Computed tomography of the spine — sagittal reformat — Bone window (WL 400, WW 1800) — 230x400 px — the image is 230 mm wide
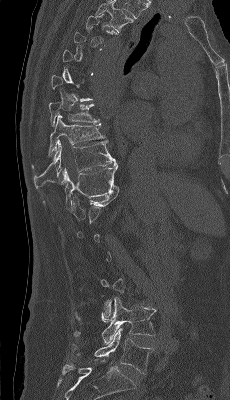
Bounding boxes as [x1, y1, x2, y2] in pixel coordinates. A vertebra gets a box only on the slices from the first to the last where its cross-section is at least a third of its largest; on a slice outside that range it gets none. The labeled vertebrae in this slice are: T8 at [49, 102, 99, 126], T9 at [32, 115, 106, 168], T10 at [34, 140, 116, 189], T11 at [43, 163, 117, 210], L4 at [74, 297, 156, 343], L5 at [72, 327, 153, 374].